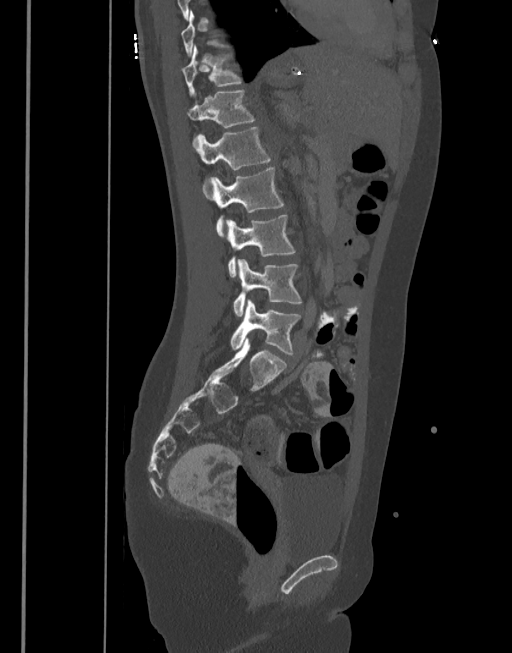

Spine computed tomography · sagittal view · 512x653 px

Bounding boxes as [x1, y1, x2, y2] in pixel coordinates.
Each vertebra is boxed only on the slices from the first to the last where its cross-section reaches a third of its largest, so a slice outside that range leaves it unboxed.
Vertebra bounding boxes:
- T11: [182, 45, 241, 96]
- T12: [187, 90, 254, 146]
- L1: [195, 127, 270, 170]
- L2: [205, 166, 284, 236]
- L3: [225, 214, 295, 276]
- L4: [233, 259, 302, 316]
- L5: [230, 299, 300, 355]